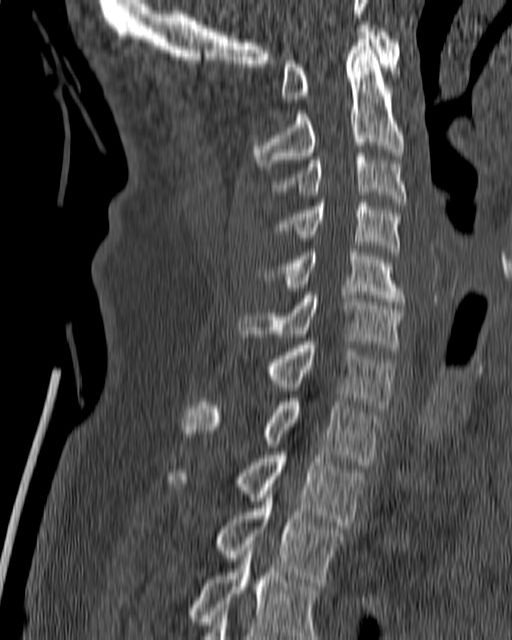
Spine computed tomography · sagittal view · the image is 180 mm wide · 512x640 px

<vertebrae><v name="T4" x1="190" y1="544" x2="320" y2="639"/><v name="T3" x1="214" y1="487" x2="344" y2="582"/><v name="T2" x1="168" y1="452" x2="364" y2="525"/><v name="T1" x1="183" y1="398" x2="381" y2="465"/><v name="C7" x1="265" y1="341" x2="395" y2="411"/><v name="C6" x1="239" y1="292" x2="405" y2="351"/><v name="C5" x1="263" y1="249" x2="406" y2="305"/><v name="C4" x1="276" y1="199" x2="401" y2="255"/><v name="C3" x1="270" y1="153" x2="407" y2="205"/><v name="C2" x1="251" y1="36" x2="404" y2="170"/><v name="C1" x1="281" y1="25" x2="400" y2="102"/></vertebrae>